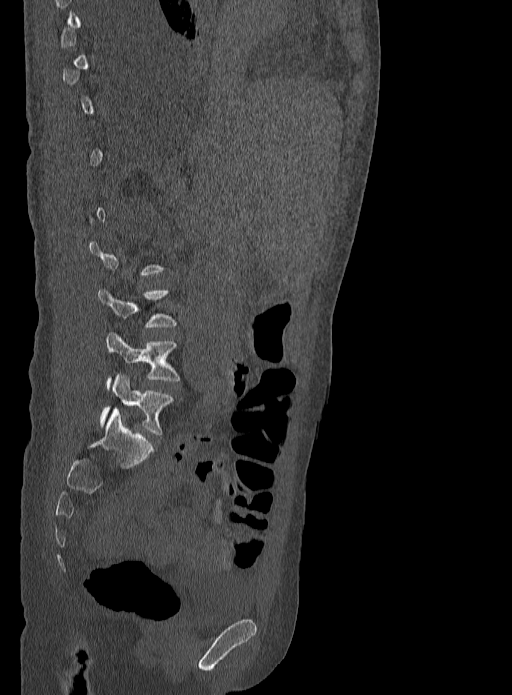

CT, spine · sagittal view · bone window
Each vertebra is boxed only on the slices from the first to the last where its cross-section reaches a third of its largest, so a slice outside that range leaves it unboxed.
<vertebrae><v name="L4" x1="106" y1="332" x2="180" y2="390"/><v name="L5" x1="100" y1="374" x2="172" y2="434"/></vertebrae>